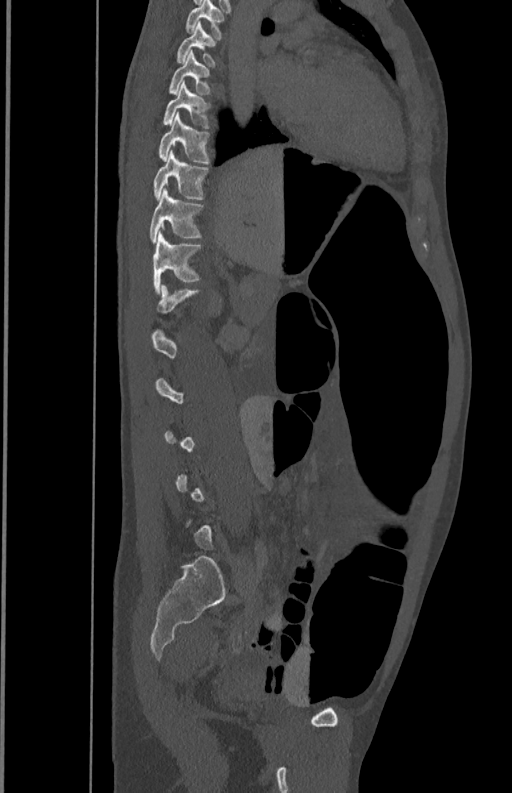

Spine computed tomography · 350 mm across the image · sagittal view
Columns x1, y1, x2, y2 give each box's top-left and bottom-right pixels.
Each vertebra is boxed only on the slices from the first to the last where its cross-section reaches a third of its largest, so a slice outside that range leaves it unboxed.
| vertebra | x1 | y1 | x2 | y2 |
|---|---|---|---|---|
| T5 | 186 | 1 | 223 | 38 |
| T6 | 177 | 21 | 215 | 66 |
| T7 | 169 | 51 | 211 | 94 |
| T8 | 164 | 82 | 209 | 128 |
| T9 | 159 | 112 | 209 | 162 |
| T10 | 153 | 150 | 208 | 199 |
| T11 | 149 | 188 | 202 | 243 |
| T12 | 153 | 232 | 201 | 290 |